CT; 160 mm image width; sagittal view
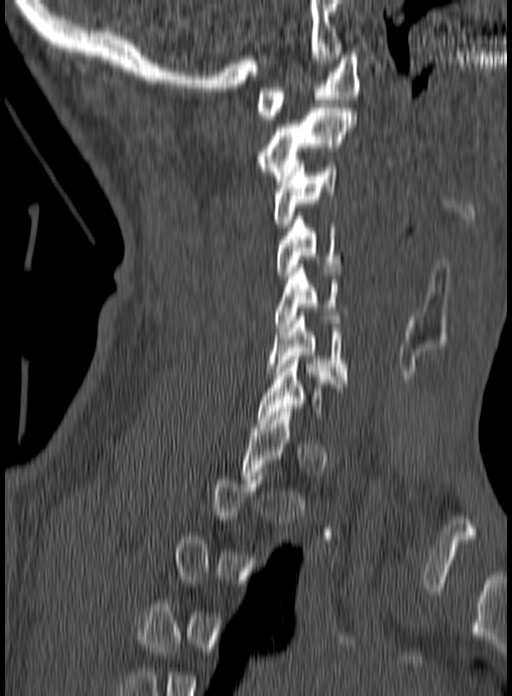 A vertebra gets a box only on the slices from the first to the last where its cross-section is at least a third of its largest; on a slice outside that range it gets none.
<vertebrae><v name="C1" x1="256" y1="52" x2="360" y2="119"/><v name="C2" x1="257" y1="104" x2="355" y2="183"/><v name="C3" x1="273" y1="160" x2="336" y2="231"/><v name="C4" x1="276" y1="212" x2="342" y2="279"/><v name="C5" x1="275" y1="264" x2="347" y2="331"/><v name="C6" x1="266" y1="308" x2="347" y2="383"/></vertebrae>